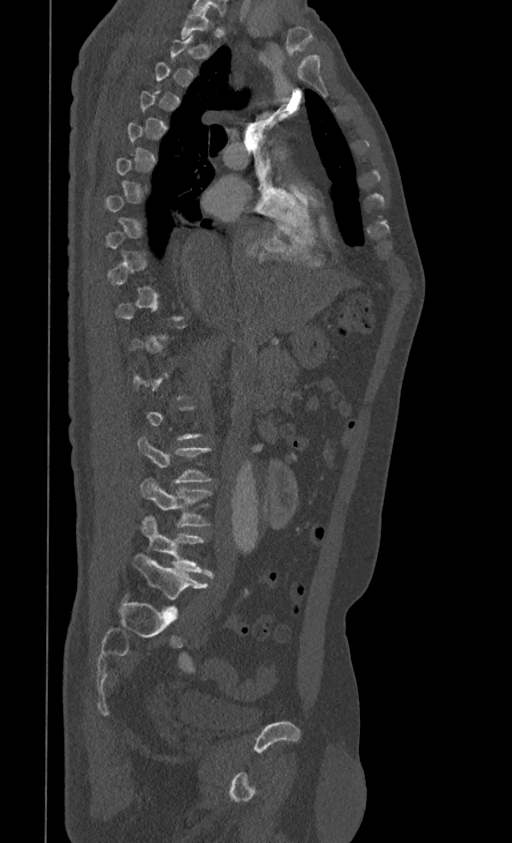
CT. sagittal view. 399 mm across the image. 512x843 px
A vertebra is boxed only from the first to the last slice where its cross-section is at least a third of its largest; slices outside that range leave it without a box.
<vertebrae><v name="L5" x1="132" y1="553" x2="208" y2="600"/><v name="L4" x1="141" y1="516" x2="212" y2="575"/><v name="L3" x1="140" y1="477" x2="212" y2="527"/><v name="L2" x1="137" y1="437" x2="211" y2="483"/><v name="T1" x1="181" y1="10" x2="212" y2="48"/></vertebrae>